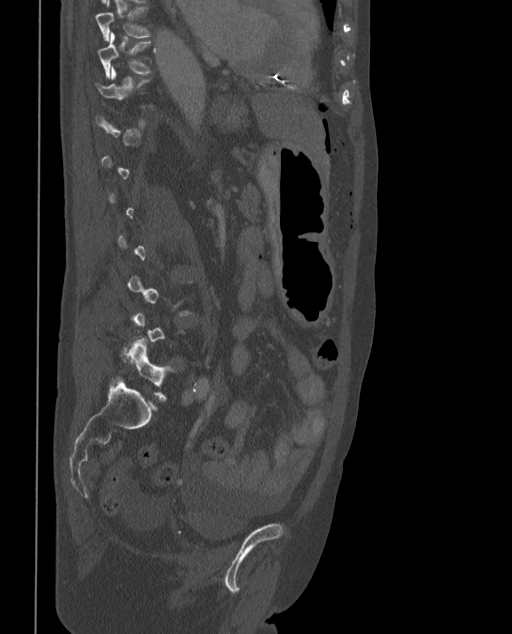
Computed tomography of the spine; sagittal view; 512x634 px
Bounding boxes as [x1, y1, x2, y2] in pixel coordinates. Not every vertebra on this slice has a box: a vertebra is boxed only from the first to the last slice where its cross-section is at least a third of its largest, and this slice is outside that range for at least one of them. In these labels the spine has an L6, a sixth lumbar vertebra below L5. Vertebrae labeled: T9 at [96, 0, 150, 41], T10 at [97, 32, 151, 78], L6 at [118, 338, 173, 399].